Computed tomography of the spine; sagittal view; bone-window reconstruction; 10 vertebrae labeled in this scan
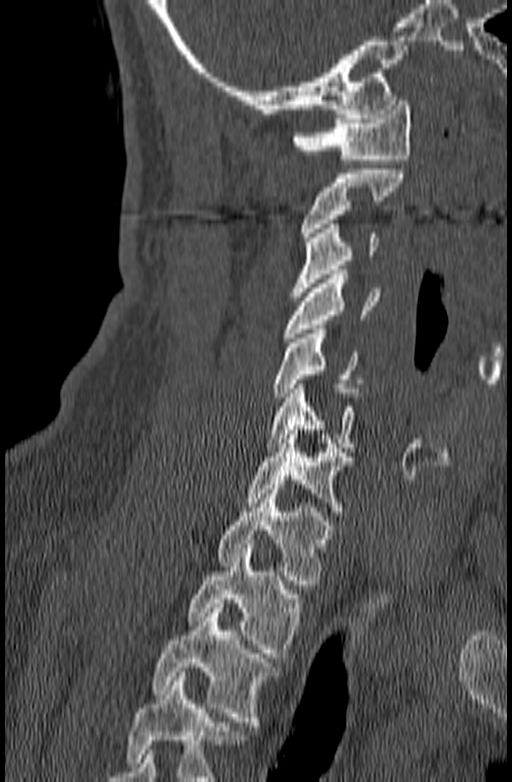 Boxes: x1 y1 x2 y2 (pixel coords, space-separated).
Vertebrae that run past the bottom of the scan are left unlabeled.
Vertebra bounding boxes:
- T3: 153 603 278 726
- T2: 187 544 303 657
- T1: 217 485 334 589
- C7: 243 430 352 516
- C6: 266 384 361 452
- C5: 272 329 364 401
- C4: 282 270 381 342
- C3: 290 224 378 296
- C2: 300 169 404 241
- C1: 294 96 411 164